CT spine · Sagittal slice 296/512 · Bone window (WL 400, WW 1800)
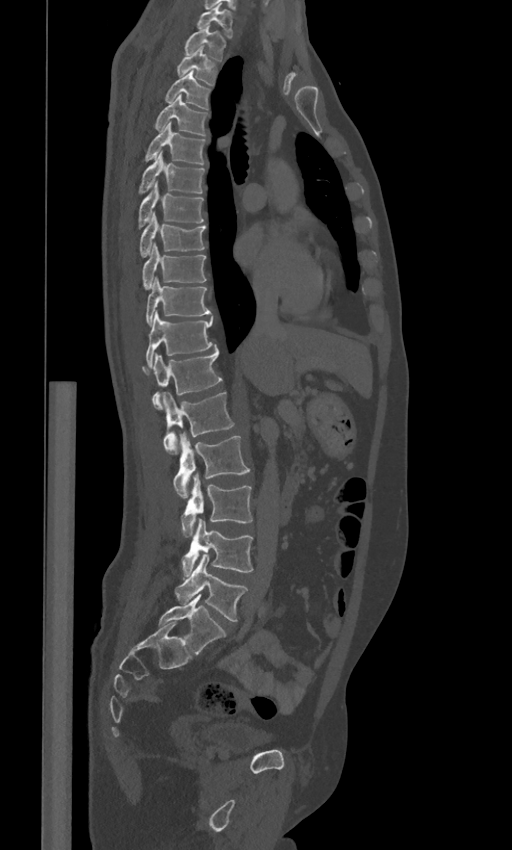
Boxes: x1:y1:x2:y2 in pixels.
In these labels the spine has an L6, a sixth lumbar vertebra below L5.
Vertebra bounding boxes:
- C7: 196:3:232:37
- T1: 185:26:225:60
- T2: 177:46:216:85
- T3: 165:71:210:109
- T4: 155:95:208:135
- T5: 144:122:206:164
- T6: 139:152:205:194
- T7: 139:182:203:228
- T8: 139:213:206:257
- T9: 142:243:206:289
- T10: 146:277:210:324
- T11: 146:310:213:366
- T12: 142:344:222:409
- L1: 163:392:234:454
- L2: 173:434:250:497
- L3: 181:474:252:537
- L4: 181:518:253:575
- L5: 174:555:247:621
- L6: 158:594:226:654